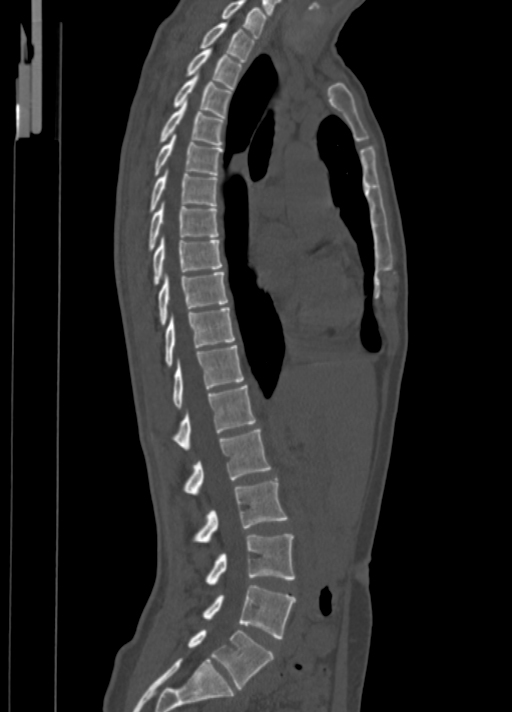

Spine CT; sagittal view; Bone window (WL 400, WW 1800)
Boxes: x1 y1 x2 y2 (pixel coords, space-separated). 18 vertebrae labeled — C7 at 221 0 266 37; T1 at 200 22 255 60; T2 at 187 48 242 88; T3 at 174 75 231 117; T4 at 161 101 224 145; T5 at 155 135 223 175; T6 at 150 170 217 211; T7 at 149 202 218 249; T8 at 153 237 223 284; T9 at 158 272 227 324; T10 at 165 307 234 366; T11 at 172 345 243 407; T12 at 174 385 256 450; L1 at 184 429 271 495; L2 at 194 480 287 542; L3 at 206 534 294 584; L4 at 203 585 296 638; L5 at 187 630 274 689.